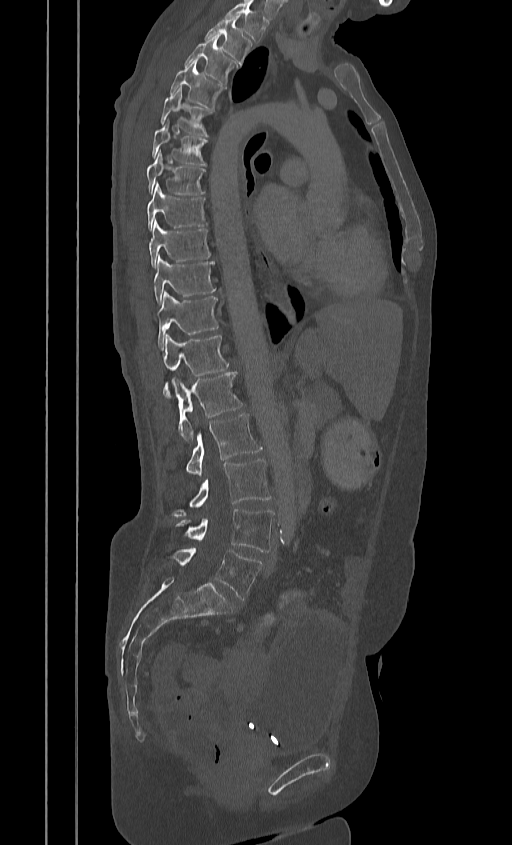

CT spine; sagittal view; 384 mm wide; bone window; 512x845 px
Each vertebra maps to its box as [x1, y1, x2, y2], the pixel coordinates of its top-left and bottom-right corners.
This scan's labels start at T2 at the top and end at L5 at the bottom.
{"vertebrae":{"T2":[205,17,251,66],"T3":[185,37,236,83],"T4":[170,60,223,110],"T5":[160,88,211,135],"T6":[152,124,207,166],"T7":[146,152,204,195],"T8":[146,183,207,230],"T9":[149,220,211,267],"T10":[153,256,215,303],"T11":[156,292,217,347],"T12":[162,335,228,396],"L1":[173,372,243,442],"L2":[186,413,261,475],"L3":[172,459,271,516],"L4":[176,508,273,552],"L5":[170,548,261,600]}}